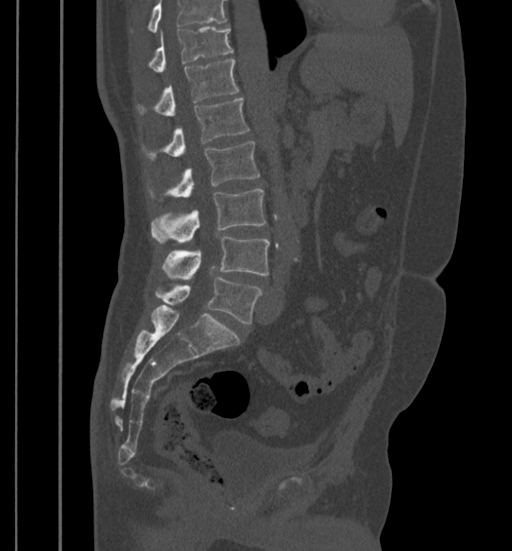 Computed tomography of the spine. sagittal view. 512x551 px
Box values are [left, top, right, bottom] in pixels.
Where the top of the scan cuts through a vertebra, that vertebra gets no label or box.
{"vertebrae":{"L5":[155,277,262,323],"L4":[162,236,270,278],"L3":[151,188,266,242],"L2":[167,141,259,197],"L1":[146,98,249,159],"T12":[137,59,239,115],"T11":[149,27,234,72]}}